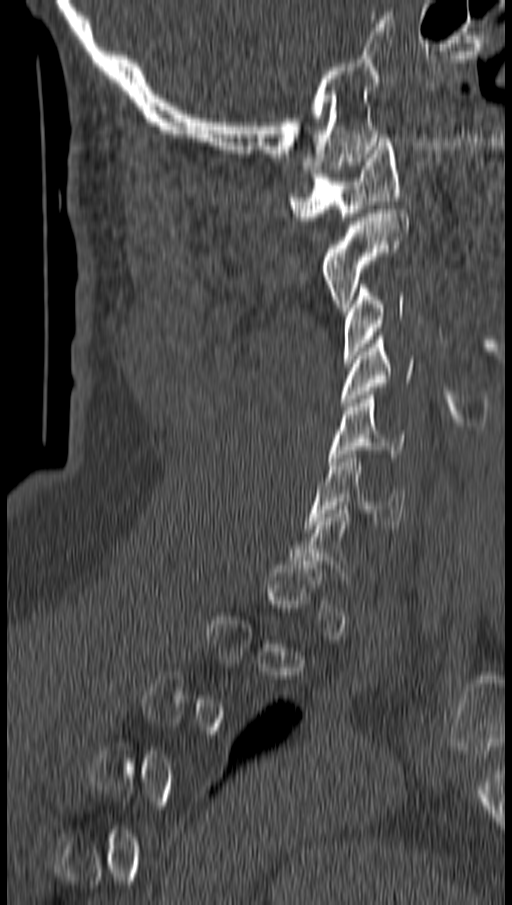
Computed tomography of the spine. sagittal reformat. bone window. 512x905 px
Box edges are left/top/right/bottom in pixels.
Each vertebra is boxed only on the slices from the first to the last where its cross-section reaches a third of its largest, so a slice outside that range leaves it unboxed.
| vertebra | x1 | y1 | x2 | y2 |
|---|---|---|---|---|
| C1 | 289 | 138 | 398 | 220 |
| C2 | 323 | 209 | 408 | 311 |
| C3 | 342 | 284 | 405 | 362 |
| C4 | 342 | 336 | 414 | 406 |
| C5 | 330 | 391 | 406 | 465 |
| C6 | 308 | 454 | 406 | 528 |